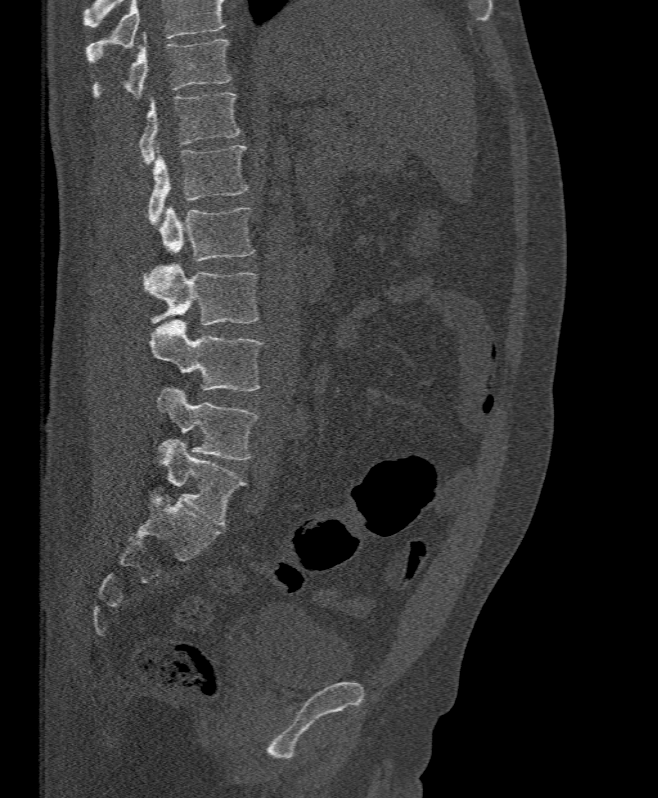 Computed tomography of the spine; 395 mm across the image; sagittal view; 658x798 px
Each row gives a vertebra's box as x1, y1, x2, y2 in pixels: top-left corner, then bottom-right corner.
Where the top of the scan cuts through a vertebra, that vertebra gets no label or box.
| vertebra | x1 | y1 | x2 | y2 |
|---|---|---|---|---|
| T11 | 93 | 33 | 230 | 97 |
| T12 | 138 | 92 | 239 | 164 |
| L1 | 147 | 145 | 248 | 225 |
| L2 | 158 | 205 | 255 | 261 |
| L3 | 144 | 262 | 259 | 326 |
| L4 | 150 | 319 | 263 | 391 |
| L5 | 157 | 387 | 257 | 459 |